Spine computed tomography. Sagittal slice 249/512
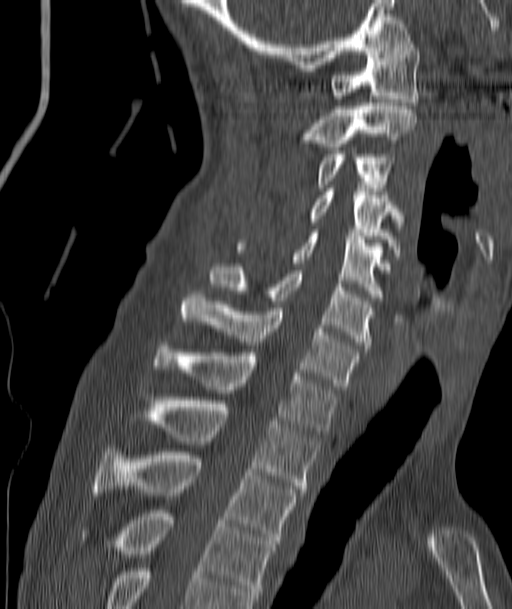
Boxes below are [x1, y1, x2, y2] in pixels.
{"vertebrae":{"C1":[329,41,419,105],"C2":[302,103,416,150],"C3":[316,151,391,191],"C4":[310,188,400,256],"C5":[236,233,383,300],"C6":[209,267,372,348],"C7":[182,291,359,389],"T1":[154,342,337,434],"T2":[146,397,317,492],"T3":[94,448,296,543],"T4":[116,510,274,601]}}